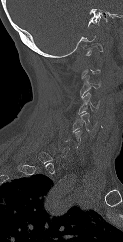
CT spine. sagittal view. 123x242 px
Each vertebra maps to its box as [x1, y1, x2, y2], the pixel coordinates of its top-left and bottom-right corners.
A vertebra is boxed only from the first to the last slice where its cross-section is at least a third of its largest; slices outside that range leave it without a box.
{"vertebrae":{"C1":[83,43,102,55],"C3":[80,75,101,96],"C4":[78,92,99,114],"C5":[71,112,98,131]}}